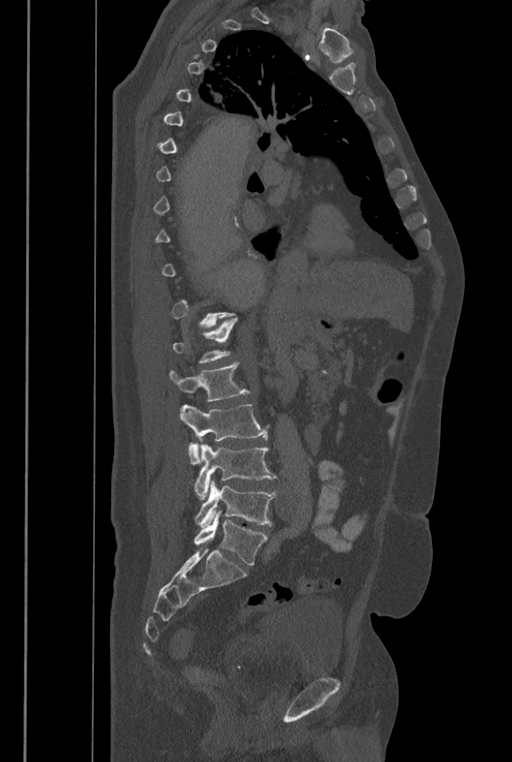
CT; sagittal view; image width 446 mm; 512x762 px

Bounding boxes as [x1, y1, x2, y2] in pixel coordinates.
A vertebra is boxed only from the first to the last slice where its cross-section is at least a third of its largest; slices outside that range leave it without a box.
These labels give the spine a sixth lumbar vertebra, L6, below L5.
L1: [172, 317, 237, 363]
L2: [169, 362, 249, 401]
L3: [179, 404, 267, 465]
L4: [194, 444, 276, 500]
L5: [194, 480, 276, 527]
L6: [194, 511, 268, 564]